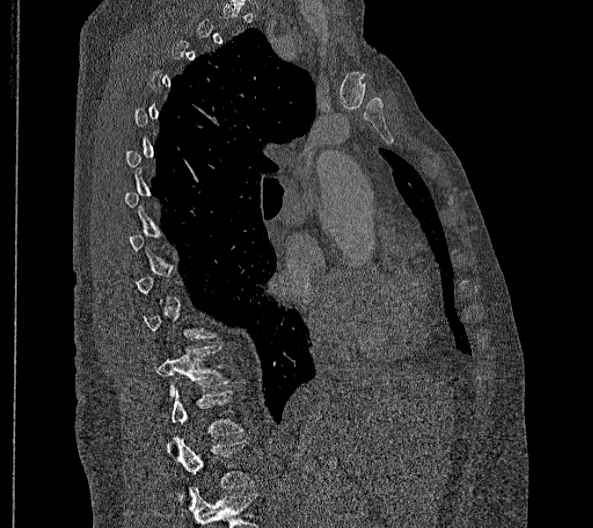

CT, spine; sagittal view; W/L 1800/400 HU
A vertebra gets a box only on the slices from the first to the last where its cross-section is at least a third of its largest; on a slice outside that range it gets none.
In this scan, the topmost labeled vertebra is T2 and the lowest is L2.
These labels give this spine no T12: after T11 the next vertebra is L1.
<vertebrae><v name="T11" x1="155" y1="345" x2="228" y2="402"/><v name="L1" x1="167" y1="391" x2="242" y2="451"/><v name="L2" x1="173" y1="438" x2="252" y2="501"/></vertebrae>